Computed tomography of the spine; sagittal plane, index 63; W/L 1800/400 HU
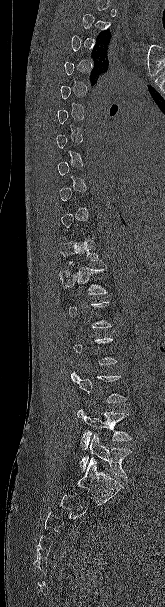
Each vertebra maps to its box as [x1, y1, x2, y2], the pixel coordinates of its top-left and bottom-right corners.
A vertebra gets a box only on the slices from the first to the last where its cross-section is at least a third of its largest; on a slice outside that range it gets none.
{"vertebrae":{"T11":[60,239,102,267],"T12":[59,263,108,294],"L4":[76,408,132,449],"L5":[80,433,131,479]}}